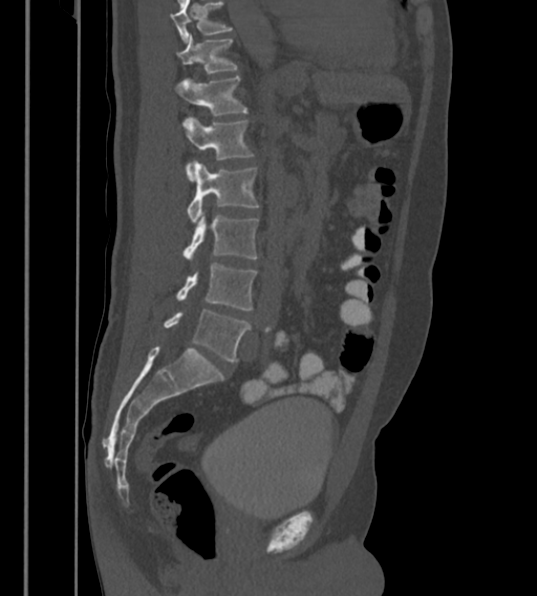 CT · sagittal view · W/L 1800/400 HU · the image spans 430 mm across
Each row gives a vertebra's box as x1, y1, x2, y2 in pixels: top-left corner, then bottom-right corner.
This scan's labels start at T12 at the top and end at L6 at the bottom.
In these labels the spine has an L6, a sixth lumbar vertebra below L5.
| vertebra | x1 | y1 | x2 | y2 |
|---|---|---|---|---|
| T12 | 176 | 34 | 236 | 73 |
| L1 | 172 | 75 | 245 | 115 |
| L2 | 181 | 119 | 252 | 181 |
| L3 | 188 | 161 | 256 | 225 |
| L4 | 184 | 210 | 258 | 263 |
| L5 | 177 | 264 | 256 | 310 |
| L6 | 165 | 309 | 250 | 361 |